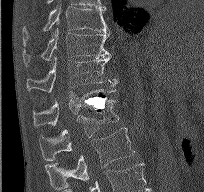
Spine CT · sagittal view · bone-window reconstruction · the image is 204 mm wide · 204x192 px

Each box given as x1,y1,x2,y2.
Vertebra bounding boxes:
- T9: x1=22, y1=5, x2=109, y2=45
- T10: x1=22, y1=27, x2=109, y2=65
- T11: x1=26, y1=55, x2=116, y2=92
- T12: x1=33, y1=88, x2=116, y2=126
- L1: x1=39, y1=100, x2=119, y2=158
- L2: x1=45, y1=127, x2=135, y2=189